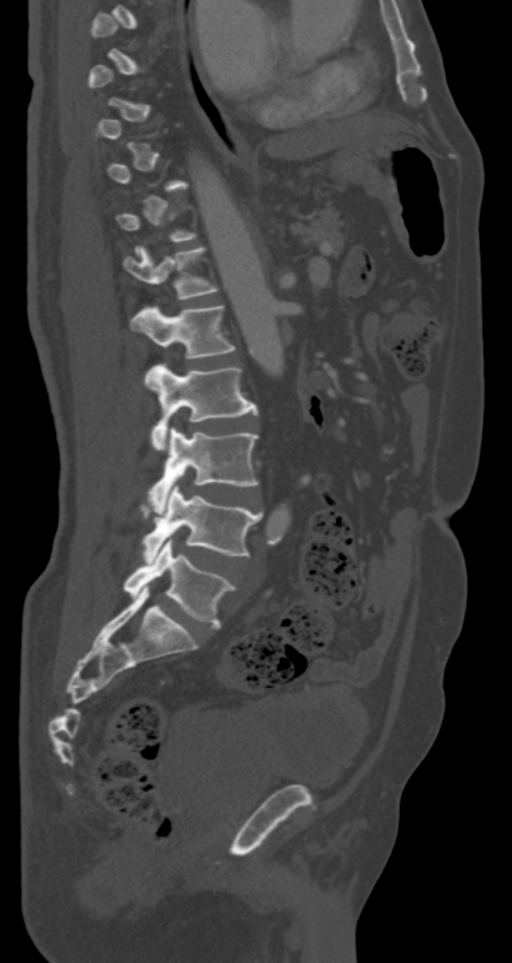

Spine CT — sagittal view
Box values are [left, top, right, bottom] in pixels.
A vertebra is boxed only from the first to the last slice where its cross-section is at least a third of its largest; slices outside that range leave it without a box.
{"vertebrae":{"T12":[123,246,218,299],"L1":[132,305,236,374],"L2":[146,363,257,450],"L3":[148,428,259,509],"L4":[142,485,261,561],"L5":[123,537,236,628]}}